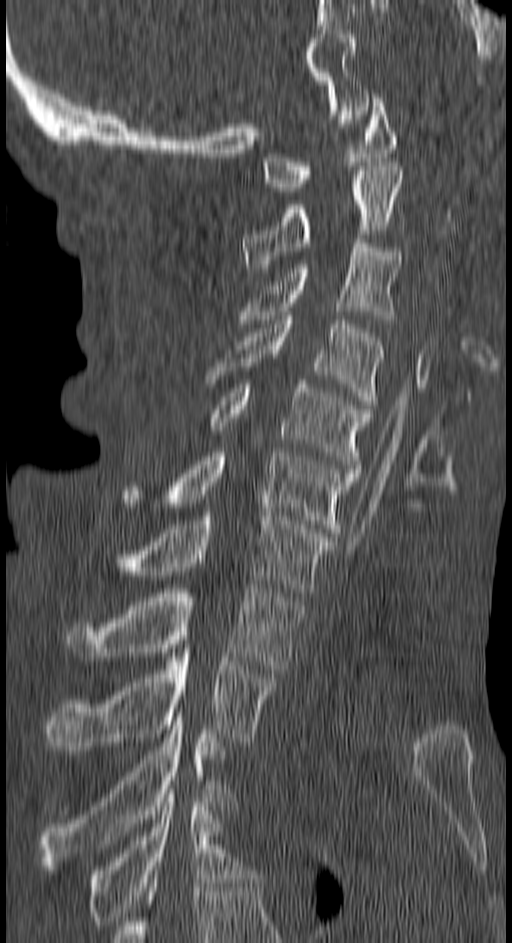
CT, spine · sagittal reformat · W/L 1800/400 HU · 512x943 px

Each box given as x1,y1,x2,y2.
C1: x1=263, y1=98, x2=396, y2=191
C2: x1=243, y1=166, x2=403, y2=272
C3: x1=239, y1=243, x2=400, y2=323
C4: x1=206, y1=316, x2=383, y2=404
C5: x1=206, y1=380, x2=372, y2=468
C6: x1=121, y1=452, x2=359, y2=537
C7: x1=100, y1=512, x2=335, y2=596
T1: x1=66, y1=585, x2=302, y2=673
T2: x1=46, y1=649, x2=276, y2=750
T3: x1=42, y1=717, x2=229, y2=865
T4: x1=87, y1=789, x2=249, y2=929